CT; sagittal reformat; bone window
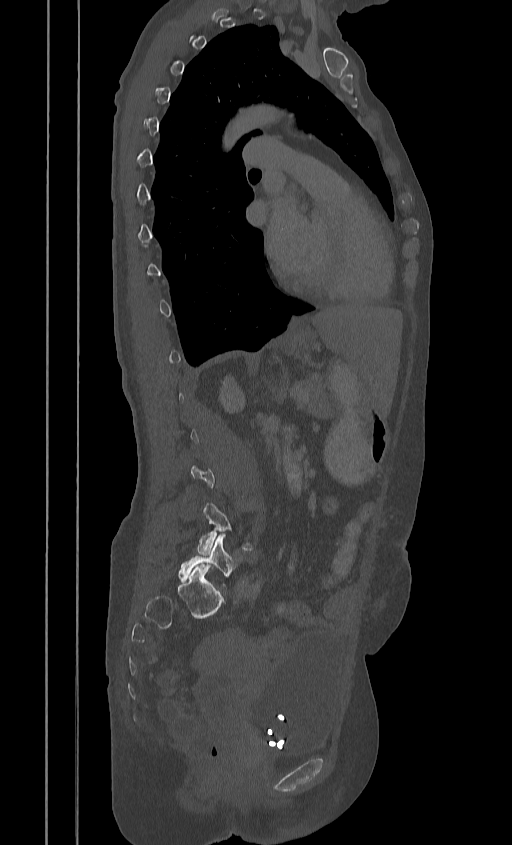 Not every vertebra on this slice has a box: a vertebra is boxed only from the first to the last slice where its cross-section is at least a third of its largest, and this slice is outside that range for at least one of them.
<vertebrae><v name="L5" x1="178" y1="533" x2="243" y2="588"/><v name="L4" x1="197" y1="503" x2="255" y2="554"/></vertebrae>